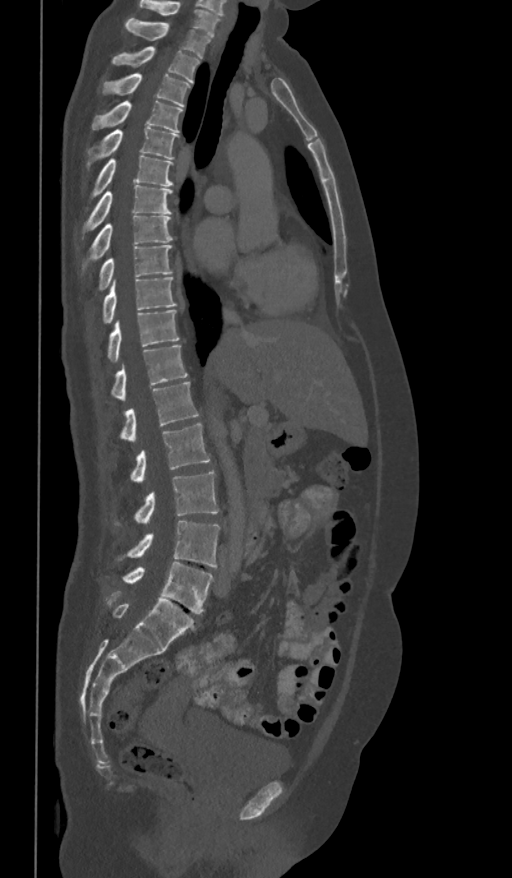 Spine computed tomography · 361 mm image width · sagittal view
Each box is [x1, y1, x2, y2] in pixels: top-left corner, then bottom-right corner.
The highest labeled vertebra in this scan is T1; the lowest is L5.
{"vertebrae":{"T1":[125,18,210,58],"T2":[112,46,199,83],"T3":[100,73,190,106],"T4":[92,101,183,132],"T5":[88,128,179,164],"T6":[86,154,173,208],"T7":[83,185,172,230],"T8":[82,216,173,273],"T9":[95,244,172,293],"T10":[102,277,176,323],"T11":[98,310,179,363],"T12":[110,345,187,400],"L1":[119,382,199,441],"L2":[130,423,210,481],"L3":[113,471,219,526],"L4":[118,521,220,568],"L5":[122,562,213,613]}}